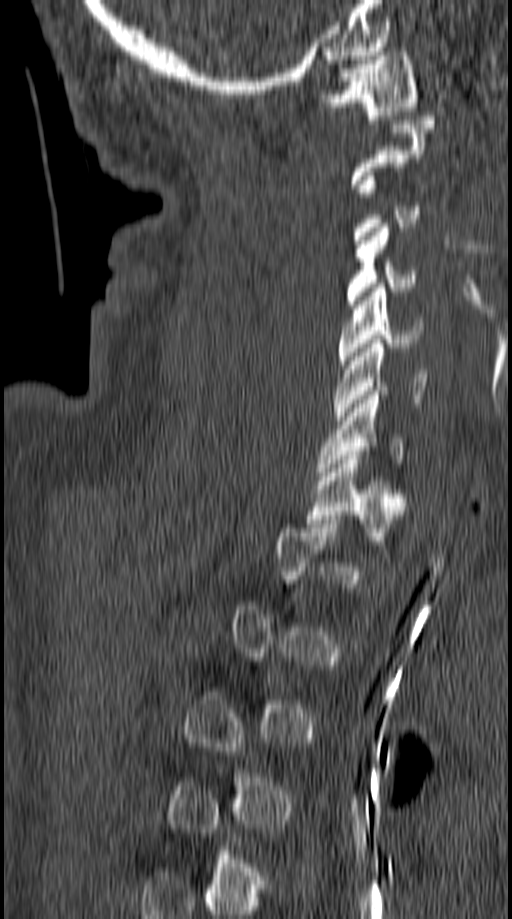 Spine CT; sagittal view; Bone window (WL 400, WW 1800); 512x919 px

Boxes: x1:y1:x2:y2 in pixels. Each vertebra is boxed only on the slices from the first to the last where its cross-section reaches a third of its largest, so a slice outside that range leaves it unboxed. The labeled vertebrae in this slice are: C1 at 318:52:419:119, C4 at 346:223:416:308, C5 at 338:283:423:368, C6 at 333:339:428:420, C7 at 317:391:402:476, T1 at 307:451:404:536.